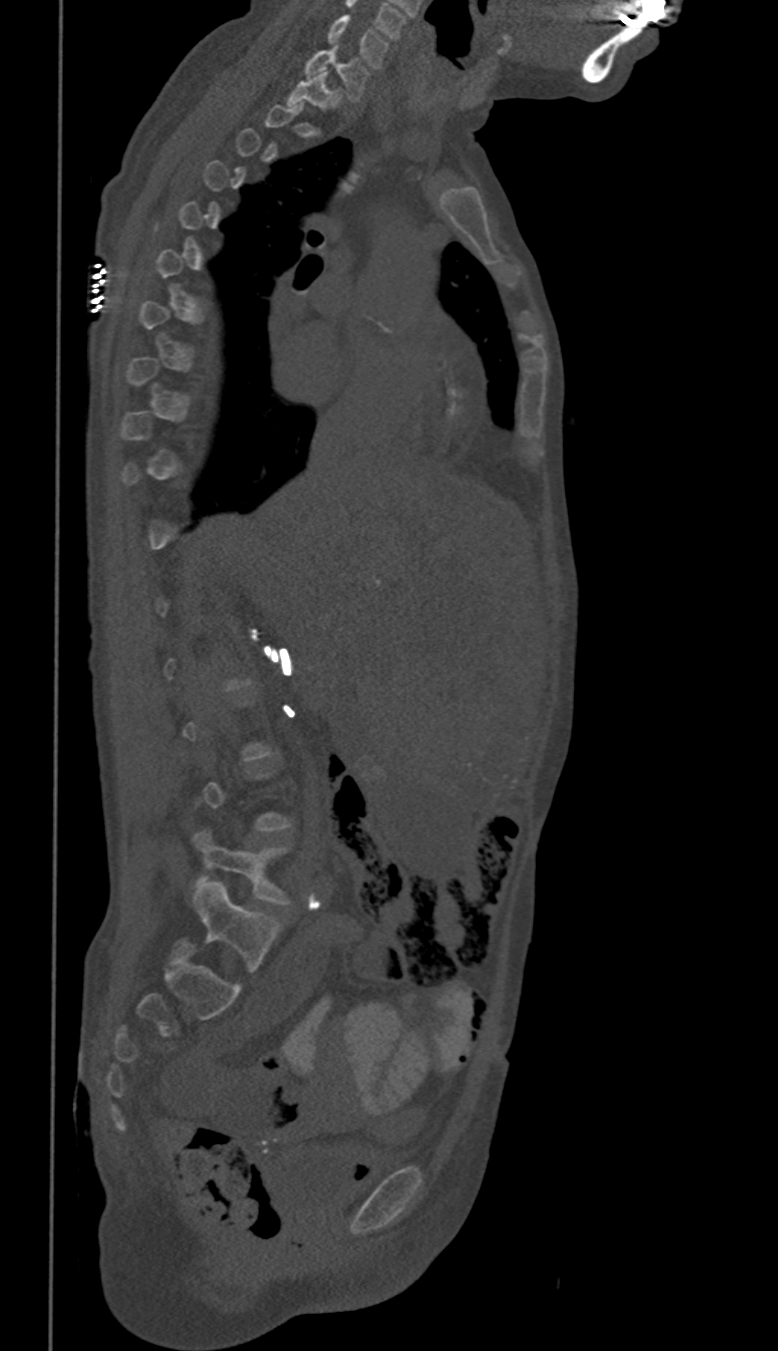

Spine CT · sagittal view · Bone window (WL 400, WW 1800)
Each vertebra is boxed only on the slices from the first to the last where its cross-section reaches a third of its largest, so a slice outside that range leaves it unboxed.
<vertebrae><v name="L5" x1="190" y1="832" x2="288" y2="904"/><v name="T1" x1="286" y1="72" x2="339" y2="108"/><v name="C7" x1="304" y1="47" x2="368" y2="99"/><v name="C6" x1="327" y1="15" x2="388" y2="68"/></vertebrae>